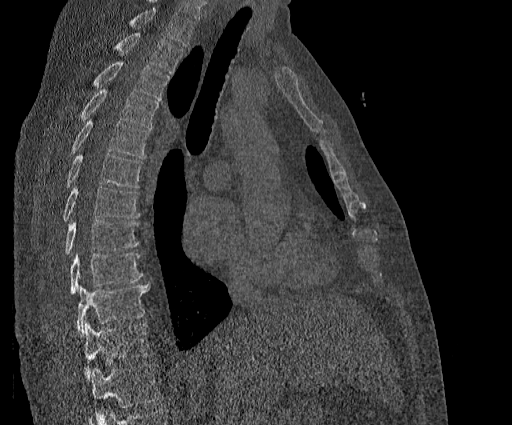

Spine CT — sagittal view — W/L 1800/400 HU — 512x425 px — image width 384 mm
Box values are [left, top, right, bottom] in pixels.
Where the top of the scan cuts through a vertebra, that vertebra gets no label or box.
This scan's labels start at T2 at the top and end at T11 at the bottom.
{"vertebrae":{"T2":[114,33,183,74],"T3":[93,61,169,100],"T4":[80,89,159,128],"T5":[69,120,149,158],"T6":[66,153,143,187],"T7":[62,187,139,220],"T8":[64,220,139,254],"T9":[69,252,143,294],"T10":[76,283,149,335],"T11":[84,323,152,379]}}